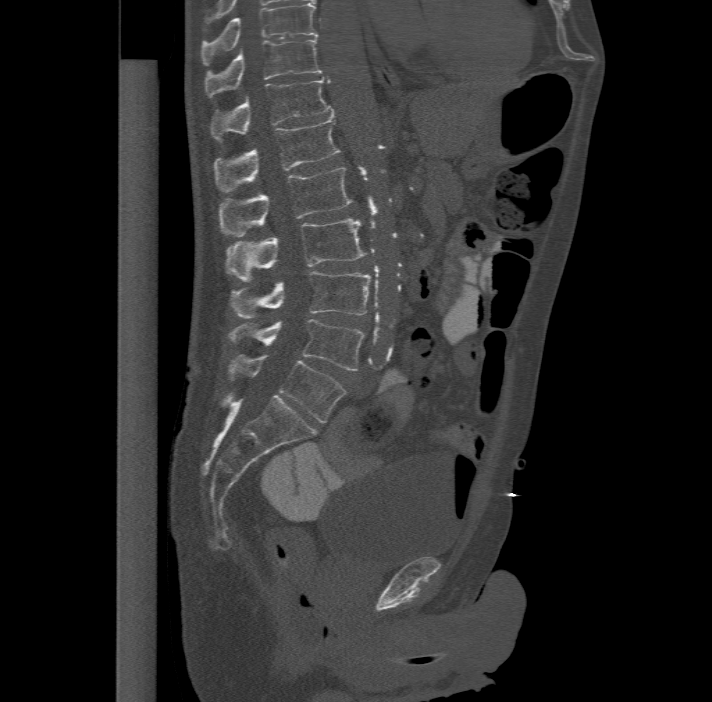
CT · the image is 477 mm wide · sagittal view · 712x702 px

Bounding boxes as [x1, y1, x2, y2] in pixel coordinates. The highest labeled vertebra in this scan is T11; the lowest is L6. In these labels the spine has an L6, a sixth lumbar vertebra below L5. 8 vertebrae labeled — T11 at [204, 39, 322, 96]; T12 at [210, 76, 333, 138]; L1 at [213, 115, 341, 190]; L2 at [220, 167, 352, 235]; L3 at [225, 218, 366, 279]; L4 at [229, 270, 372, 317]; L5 at [228, 318, 365, 370]; L6 at [228, 354, 345, 422].